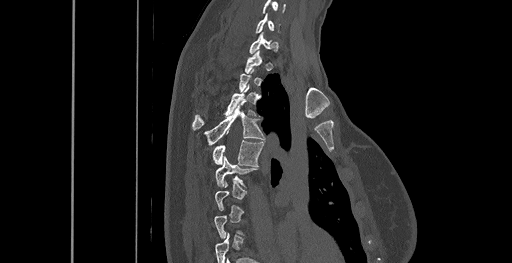 CT spine. the image is 461 mm wide. sagittal view
Box edges are left/top/right/bottom in pixels. A vertebra gets a box only on the slices from the first to the last where its cross-section is at least a third of its largest; on a slice outside that range it gets none. The highest labeled vertebra in this scan is C6; the lowest is T8. Vertebrae labeled: C6 at left=255, top=14, right=273, bottom=33, T3 at left=192, top=86, right=254, bottom=130, T4 at left=204, top=103, right=264, bottom=145, T5 at left=212, top=140, right=263, bottom=166, T6 at left=215, top=156, right=257, bottom=186.